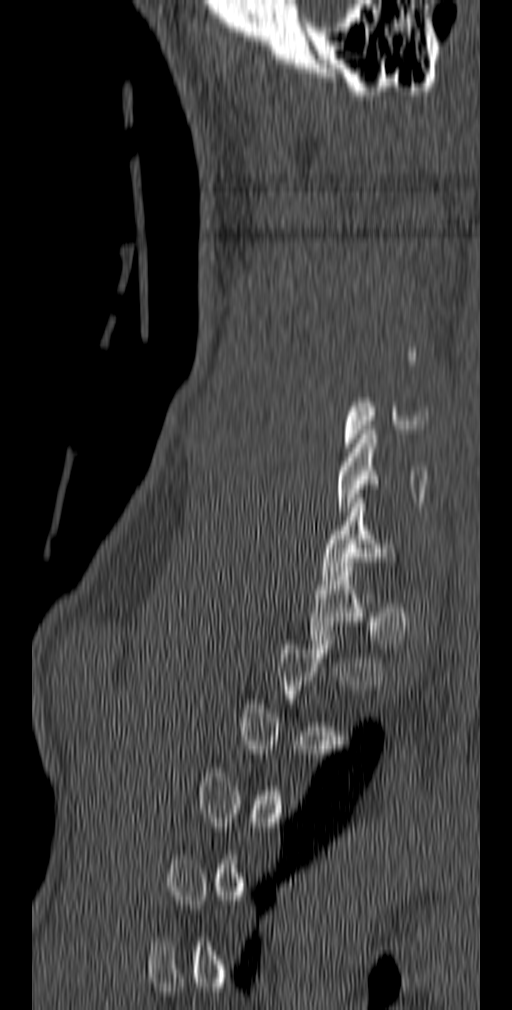

Spine computed tomography · sagittal reformat · W/L 1800/400 HU · 512x1010 px
Each box is [x1, y1, x2, y2] in pixels: top-left corner, then bottom-right corner.
A vertebra is boxed only from the first to the last slice where its cross-section is at least a third of its largest; slices outside that range leave it without a box.
{"vertebrae":{"C5":[344,398,429,447],"C6":[337,430,427,516],"C7":[321,498,396,580]}}